Computed tomography of the spine; sagittal view; W/L 1800/400 HU; 7 vertebrae labeled in this scan; the image is 461 mm wide
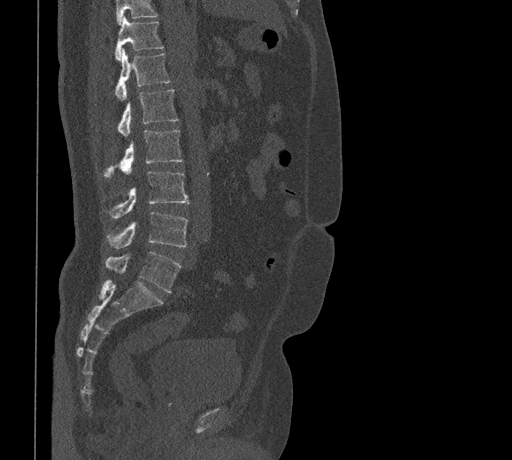 Each box is [x1, y1, x2, y2] in pixels: top-left corner, then bottom-right corner.
Where the top of the scan cuts through a vertebra, that vertebra gets no label or box.
{"vertebrae":{"L5":[105,252,181,292],"L4":[108,211,188,248],"L3":[110,171,189,218],"L2":[103,130,182,177],"L1":[118,89,177,137],"T12":[114,49,170,100],"T11":[114,17,163,60]}}